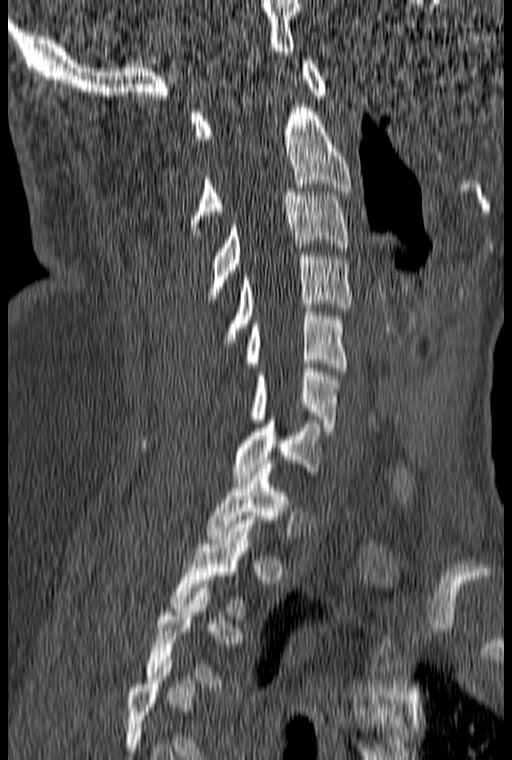 Spine CT — sagittal reformat — bone-window reconstruction. Each box given as x1,y1,x2,y2.
Each vertebra is boxed only on the slices from the first to the last where its cross-section reaches a third of its largest, so a slice outside that range leaves it unboxed.
Vertebra bounding boxes:
- C1: x1=190, y1=60, x2=327, y2=139
- C2: x1=188, y1=104, x2=350, y2=235
- C3: x1=206, y1=188, x2=349, y2=299
- C4: x1=220, y1=252, x2=352, y2=347
- C5: x1=244, y1=308, x2=346, y2=371
- C6: x1=248, y1=368, x2=339, y2=431
- C7: x1=141, y1=420, x2=323, y2=479
- T1: x1=206, y1=464, x2=291, y2=539
- T2: x1=170, y1=520, x2=255, y2=619